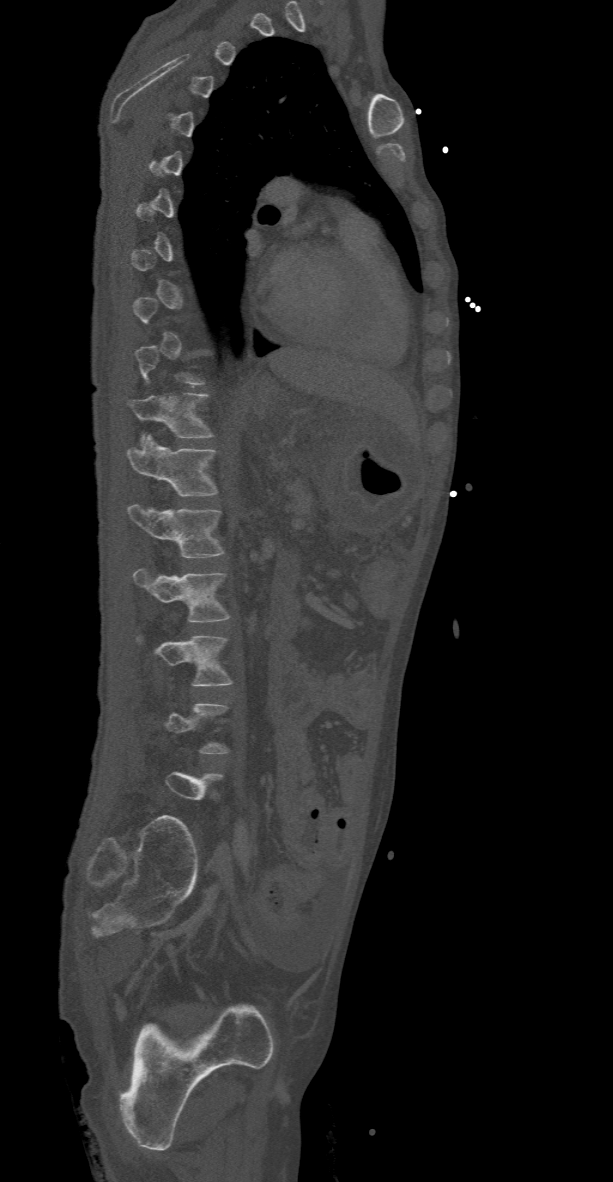

CT, spine; sagittal reformat; image width 368 mm
Each row gives a vertebra's box as x1, y1, x2, y2 in pixels: top-left corner, then bottom-right corner.
A vertebra is boxed only from the first to the last slice where its cross-section is at least a third of its largest; slices outside that range leave it without a box.
| vertebra | x1 | y1 | x2 | y2 |
|---|---|---|---|---|
| L3 | 138 | 636 | 233 | 686 |
| L2 | 133 | 569 | 230 | 621 |
| L1 | 128 | 504 | 224 | 558 |
| T12 | 127 | 436 | 217 | 496 |
| T11 | 127 | 392 | 212 | 441 |